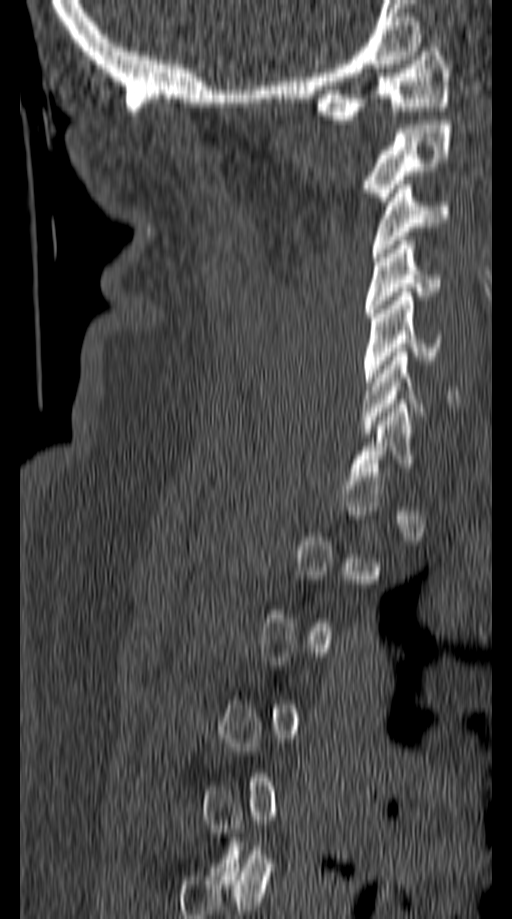

Spine computed tomography. sagittal view. bone window. image width 149 mm
Coordinates as <box>x1,y1,x2,y2</box>.
Not every vertebra on this slice has a box: a vertebra is boxed only from the first to the last slice where its cross-section is at least a third of its largest, and this slice is outside that range for at least one of them.
C6: <box>362,352,458,433</box>
C5: <box>363,292,443,386</box>
C4: <box>365,241,440,317</box>
C3: <box>372,180,450,257</box>
C2: <box>362,120,450,205</box>
C1: <box>316,43,450,119</box>